CT spine — sagittal view
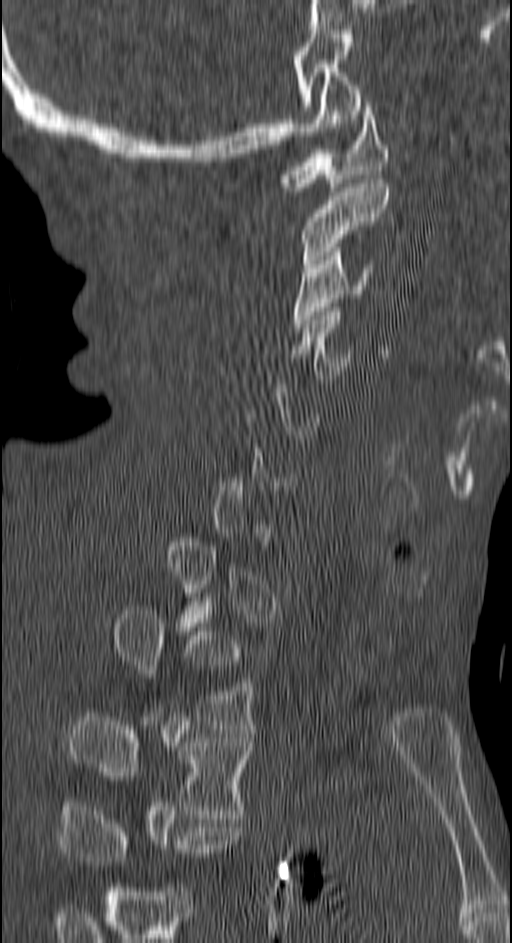 Boxes: x1 y1 x2 y2 (pixel coords, space-separated). A vertebra is boxed only from the first to the last slice where its cross-section is at least a third of its largest; slices outside that range leave it without a box. In this scan, the topmost labeled vertebra is C1 and the lowest is T4. 7 vertebrae labeled — C1 at 278 102 389 191; C2 at 302 179 389 268; C3 at 291 247 375 328; C4 at 291 311 355 383; T2 at 114 610 256 729; T3 at 69 713 253 818; T4 at 59 806 243 865.